CT; sagittal reformat; scan covers 10 annotated vertebrae
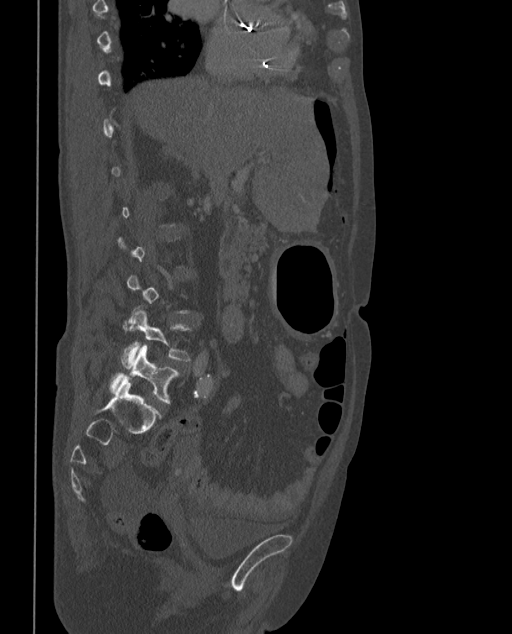

Boxes: x1:y1:x2:y2 in pixels.
Each vertebra is boxed only on the slices from the first to the last where its cross-section reaches a third of its largest, so a slice outside that range leaves it unboxed.
The labels name a sixth lumbar vertebra for this spine: L6, after L5.
Vertebra bounding boxes:
- L5: 122:306:191:367
- L6: 110:346:179:404